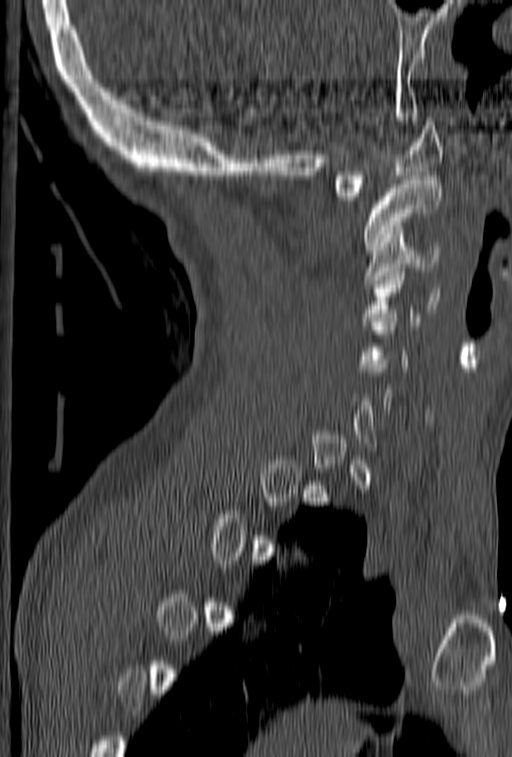

Computed tomography of the spine. sagittal view. 512x757 px
Each vertebra maps to its box as [x1, y1, x2, y2], the pixel coordinates of its top-left and bottom-right corners.
A vertebra is boxed only from the first to the last slice where its cross-section is at least a third of its largest; slices outside that range leave it without a box.
{"vertebrae":{"C1":[332,117,442,200],"C2":[363,176,442,250],"C3":[363,238,439,283],"C4":[363,264,439,325],"C5":[359,305,409,371]}}